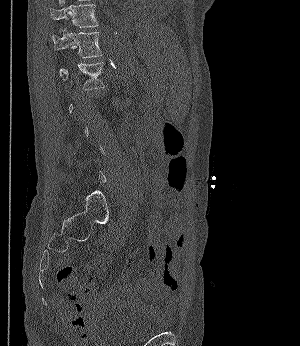 CT, spine · sagittal view · bone window · 300x346 px
Box edges are left/top/right/bottom in pixels.
Not every vertebra on this slice has a box: a vertebra is boxed only from the first to the last slice where its cross-section is at least a third of its largest, and this slice is outside that range for at least one of them.
Vertebra bounding boxes:
- T11: left=50, top=2, right=98, bottom=30
- T12: left=52, top=28, right=102, bottom=58
- L1: left=59, top=62, right=104, bottom=89